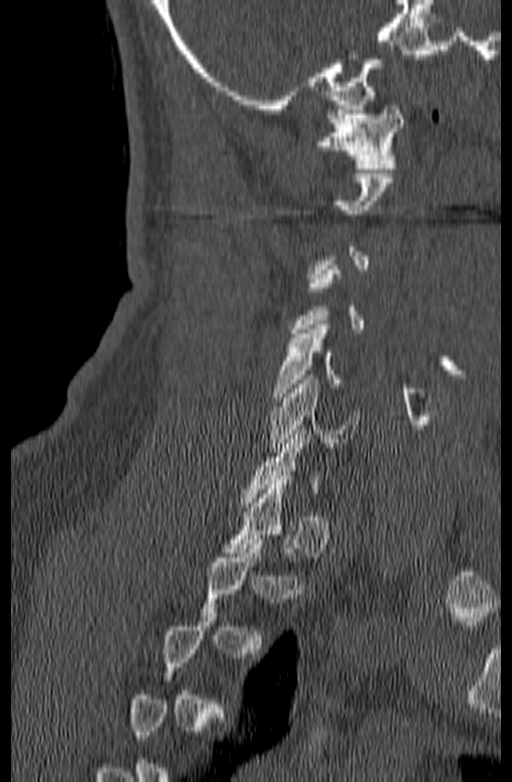
Computed tomography of the spine; sagittal reformat; 512x782 px
Boxes: x1 y1 x2 y2 (pixel coords, space-separated).
A vertebra gets a box only on the slices from the first to the last where its cross-section is at least a third of its largest; on a slice outside that range it gets none.
C1: 314 105 404 168
C5: 272 325 341 401
C6: 268 375 359 452